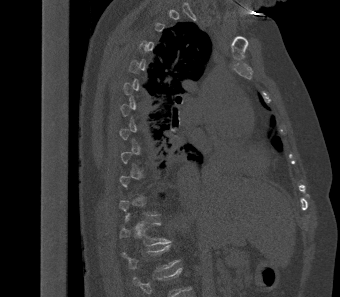
CT · sagittal view · W/L 1800/400 HU · 340x297 px · 340 mm across the image. Box edges are left/top/right/bottom in pixels.
A vertebra gets a box only on the slices from the first to the last where its cross-section is at least a third of its largest; on a slice outside that range it gets none.
This scan's labels start at T2 at the top and end at L1 at the bottom.
T12: left=120, top=215, right=171, bottom=246
L1: left=123, top=245, right=180, bottom=272